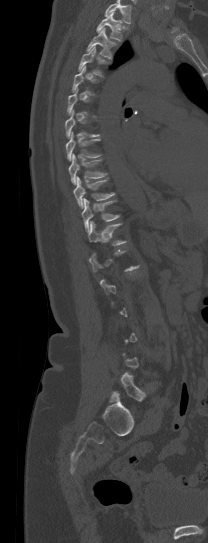

Computed tomography of the spine. sagittal view
A vertebra is boxed only from the first to the last slice where its cross-section is at least a third of its largest; slices outside that range leave it without a box.
A vertebra cut off by the top edge of the scan is not labeled and has no box.
<vertebrae><v name="T1" x1="96" y1="12" x2="122" y2="41"/><v name="T2" x1="86" y1="27" x2="116" y2="59"/><v name="T3" x1="78" y1="46" x2="107" y2="77"/><v name="T7" x1="66" y1="132" x2="101" y2="161"/><v name="T8" x1="68" y1="153" x2="107" y2="184"/><v name="T9" x1="73" y1="176" x2="114" y2="208"/><v name="T10" x1="82" y1="199" x2="118" y2="231"/></vertebrae>